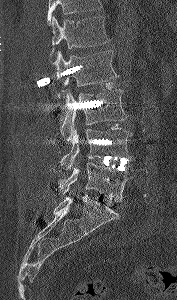

CT · image 177 mm wide · sagittal reformat · bone-window reconstruction
Bounding boxes as [x1, y1, x2, y2] in pixel coordinates.
Where the top of the scan cuts through a vertebra, that vertebra gets no label or box.
L1: [51, 16, 110, 63]
L2: [52, 50, 119, 94]
L3: [60, 89, 128, 143]
L4: [60, 129, 132, 170]
L5: [59, 162, 134, 202]